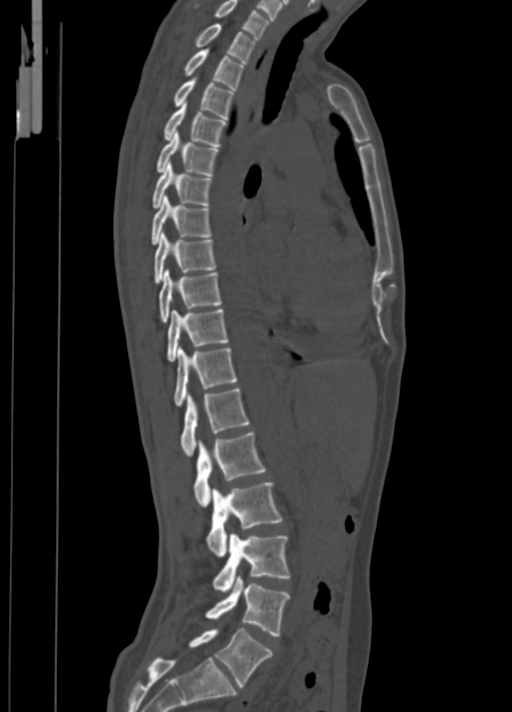
CT — sagittal view — W/L 1800/400 HU — 512x712 px — 350 mm across the image
<vertebrae><v name="L5" x1="188" y1="629" x2="272" y2="687"/><v name="L4" x1="206" y1="576" x2="290" y2="635"/><v name="L3" x1="213" y1="534" x2="290" y2="591"/><v name="L2" x1="206" y1="483" x2="283" y2="556"/><v name="L1" x1="194" y1="432" x2="265" y2="507"/><v name="T12" x1="181" y1="388" x2="249" y2="457"/><v name="T11" x1="174" y1="347" x2="237" y2="406"/><v name="T10" x1="167" y1="309" x2="228" y2="362"/><v name="T9" x1="159" y1="269" x2="221" y2="322"/><v name="T8" x1="153" y1="231" x2="215" y2="283"/><v name="T7" x1="152" y1="195" x2="211" y2="245"/><v name="T6" x1="152" y1="162" x2="211" y2="208"/><v name="T5" x1="156" y1="132" x2="218" y2="175"/><v name="T4" x1="164" y1="102" x2="227" y2="147"/><v name="T3" x1="174" y1="78" x2="233" y2="119"/><v name="T2" x1="184" y1="48" x2="243" y2="90"/><v name="T1" x1="196" y1="23" x2="255" y2="63"/><v name="C7" x1="215" y1="0" x2="269" y2="38"/></vertebrae>